CT · sagittal reformat · 512x820 px · 400 mm image width
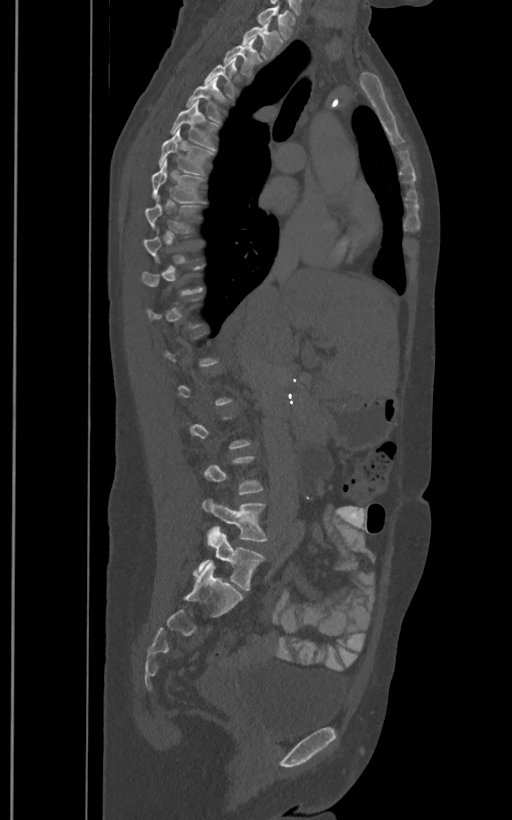

Box edges are left/top/right/bottom in pixels.
A vertebra gets a box only on the slices from the first to the last where its cross-section is at least a third of its largest; on a slice outside that range it gets none.
These labels give the spine a sixth lumbar vertebra, L6, below L5.
Vertebra bounding boxes:
- T1: left=256, top=6, right=296, bottom=39
- T2: left=242, top=20, right=282, bottom=59
- T3: left=223, top=38, right=261, bottom=77
- T4: left=204, top=56, right=237, bottom=99
- T5: left=185, top=77, right=225, bottom=123
- T6: left=170, top=100, right=219, bottom=150
- T7: left=159, top=128, right=214, bottom=175
- T8: left=152, top=159, right=206, bottom=203
- T9: left=146, top=195, right=204, bottom=232
- L5: left=202, top=498, right=269, bottom=542
- L6: left=198, top=528, right=266, bottom=590